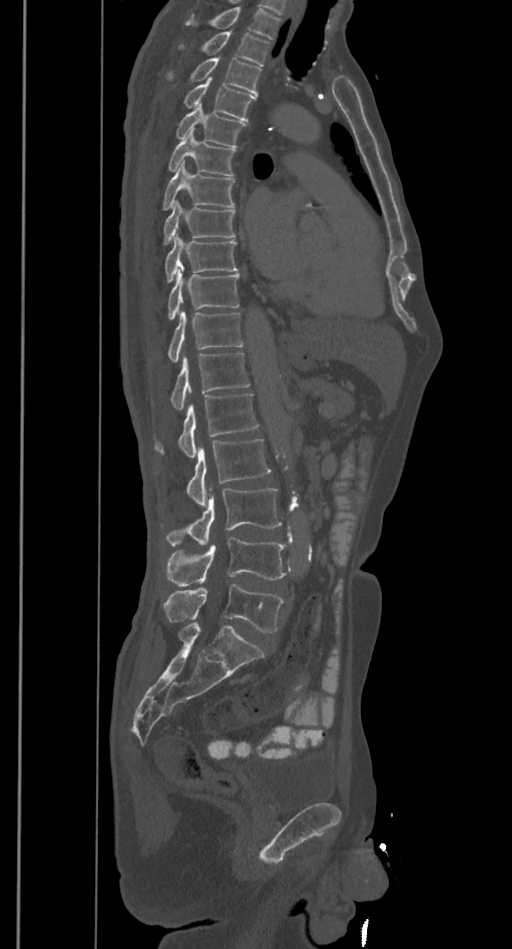
Spine computed tomography — sagittal view
Box edges are left/top/right/bottom in pixels.
Where the top of the scan cuts through a vertebra, that vertebra gets no label or box.
L5: left=163, top=583, right=283, bottom=632
L4: left=166, top=537, right=290, bottom=587
L3: left=166, top=487, right=281, bottom=545
L2: left=186, top=438, right=271, bottom=505
L1: left=154, top=394, right=258, bottom=457
T12: left=170, top=352, right=250, bottom=410
T11: left=167, top=311, right=244, bottom=362
T10: left=167, top=269, right=240, bottom=321
T9: left=165, top=233, right=238, bottom=281
T8: left=163, top=200, right=236, bottom=244
T7: left=162, top=160, right=234, bottom=210
T6: left=167, top=132, right=236, bottom=176
T5: left=175, top=103, right=245, bottom=147
T4: left=183, top=77, right=255, bottom=121
T3: left=167, top=56, right=261, bottom=95
T2: left=179, top=31, right=270, bottom=66